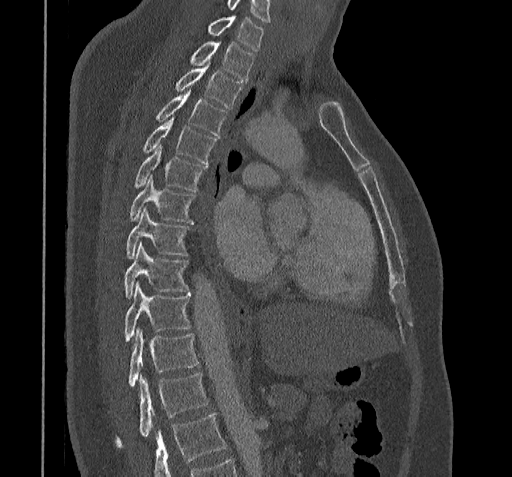
CT, spine; sagittal view; W/L 1800/400 HU
Vertebrae that run past the bottom of the scan are left unlabeled.
The highest labeled vertebra in this scan is C7; the lowest is T11.
<vertebrae><v name="T11" x1="116" y1="374" x2="207" y2="445"/><v name="T10" x1="128" y1="328" x2="197" y2="387"/><v name="T9" x1="124" y1="282" x2="190" y2="341"/><v name="T8" x1="124" y1="243" x2="188" y2="298"/><v name="T7" x1="127" y1="209" x2="188" y2="258"/><v name="T6" x1="130" y1="176" x2="194" y2="221"/><v name="T5" x1="135" y1="145" x2="206" y2="191"/><v name="T4" x1="143" y1="117" x2="215" y2="164"/><v name="T3" x1="156" y1="90" x2="226" y2="136"/><v name="T2" x1="176" y1="63" x2="242" y2="108"/><v name="T1" x1="191" y1="42" x2="253" y2="81"/><v name="C7" x1="208" y1="16" x2="263" y2="51"/></vertebrae>